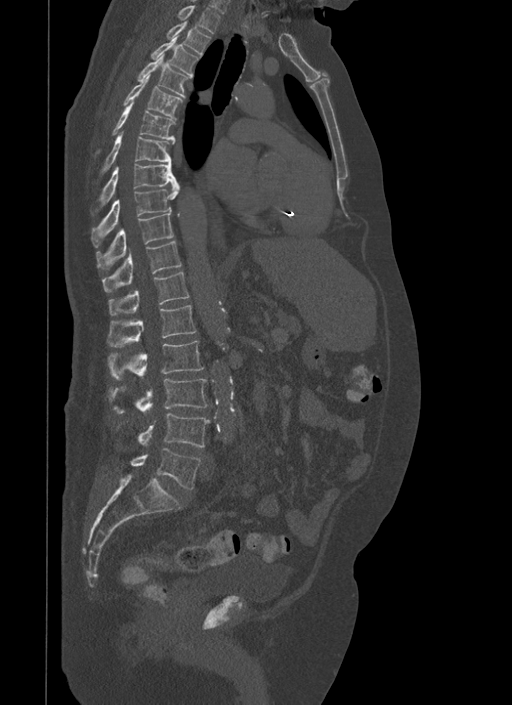
CT, spine · sagittal view · the image spans 500 mm across · 512x705 px
Coordinates as <box>x1,y1,x2,y2</box>.
L5: <box>131,449,200,488</box>
L4: <box>138,413,210,446</box>
L3: <box>108,379,207,413</box>
L2: <box>107,341,204,379</box>
L1: <box>107,305,196,347</box>
T12: <box>108,271,189,315</box>
T11: <box>102,241,182,292</box>
T10: <box>96,213,173,268</box>
T9: <box>91,185,180,247</box>
T8: <box>99,163,178,207</box>
T7: <box>100,131,174,173</box>
T6: <box>112,101,175,138</box>
T5: <box>122,74,183,119</box>
T4: <box>138,53,187,97</box>
T3: <box>151,35,200,78</box>
T2: <box>167,20,210,57</box>
T1: <box>177,5,220,33</box>